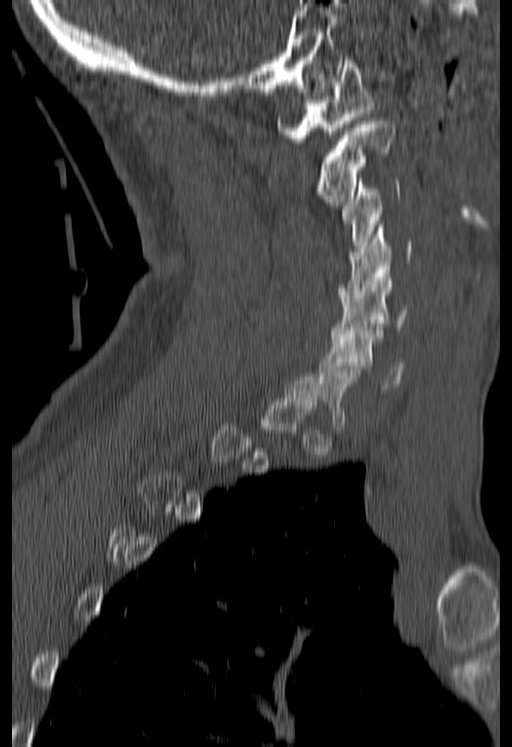 Spine CT — sagittal view — image 180 mm wide — 512x747 px

Box edges are left/top/right/bottom in pixels.
Each vertebra is boxed only on the slices from the first to the last where its cross-section reaches a third of its largest, so a slice outside that range leaves it unboxed.
C1: left=276, top=57, right=373, bottom=141
C2: left=317, top=121, right=395, bottom=205
C3: left=342, top=178, right=400, bottom=251
C4: left=339, top=224, right=413, bottom=298
C5: left=331, top=274, right=409, bottom=340
C6: left=319, top=331, right=404, bottom=390